CT · Sagittal slice 239/512 · scan covers 16 annotated vertebrae
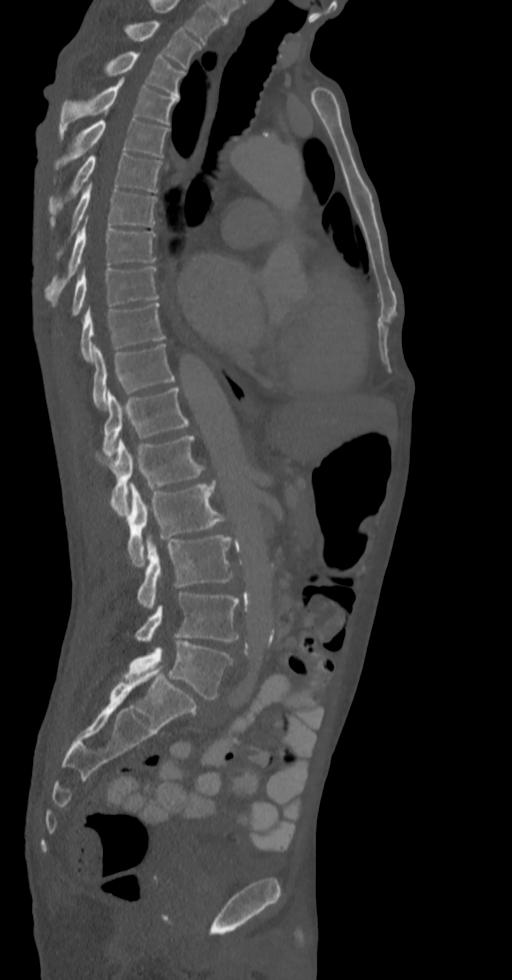 Boxes: x1:y1:x2:y2 in pixels.
In this scan, the topmost labeled vertebra is T2 and the lowest is L5.
T2: 125:21:201:69
T3: 105:52:185:97
T4: 59:78:177:139
T5: 55:114:168:170
T6: 48:152:162:217
T7: 50:183:156:258
T8: 45:226:156:304
T9: 71:267:159:316
T10: 80:302:165:362
T11: 93:343:174:409
T12: 102:387:189:456
L1: 96:436:206:517
L2: 128:482:230:566
L3: 137:535:232:609
L4: 135:593:238:642
L5: 123:640:233:698